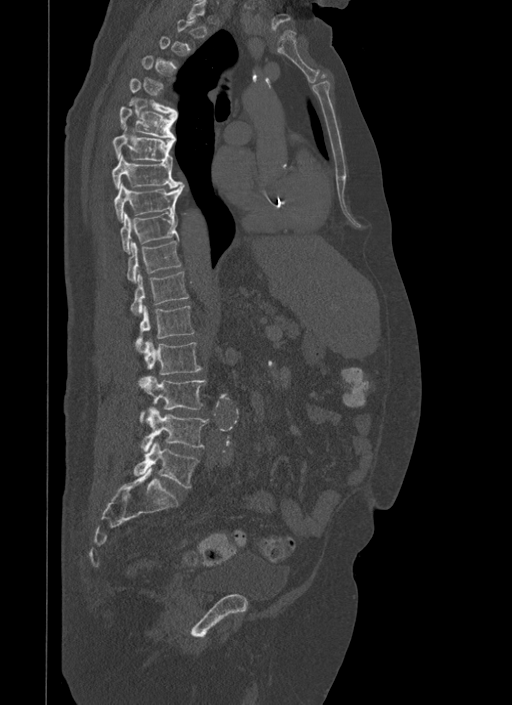 Spine computed tomography; sagittal reformat; bone window; image 500 mm wide; 512x705 px
Each box given as x1,y1,x2,y2.
A vertebra is boxed only from the first to the last slice where its cross-section is at least a third of its largest; slices outside that range leave it without a box.
Vertebra bounding boxes:
- T5: x1=129, y1=78, x2=177, y2=118
- T6: x1=119, y1=106, x2=175, y2=140
- T7: x1=112, y1=128, x2=173, y2=163
- T8: x1=111, y1=155, x2=181, y2=188
- T9: x1=113, y1=183, x2=184, y2=221
- T10: x1=120, y1=211, x2=178, y2=253
- T11: x1=126, y1=240, x2=181, y2=282
- T12: x1=131, y1=271, x2=189, y2=313
- L1: x1=136, y1=305, x2=194, y2=349
- L2: x1=145, y1=339, x2=202, y2=375
- L3: x1=138, y1=376, x2=205, y2=421
- L4: x1=142, y1=407, x2=208, y2=452
- L5: x1=134, y1=441, x2=199, y2=487